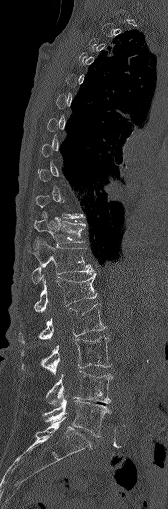 Computed tomography of the spine — sagittal view — bone-window reconstruction
Box edges are left/top/right/bottom in pixels.
A vertebra is boxed only from the first to the last slice where its cross-section is at least a third of its largest; slices outside that range leave it without a box.
Vertebra bounding boxes:
- T11: left=34, top=218, right=85, bottom=244
- T12: left=27, top=237, right=93, bottom=282
- L1: left=34, top=272, right=97, bottom=312
- L2: left=19, top=304, right=105, bottom=343
- L3: left=42, top=336, right=111, bottom=374
- L4: left=47, top=371, right=112, bottom=408
- L5: left=44, top=396, right=109, bottom=436